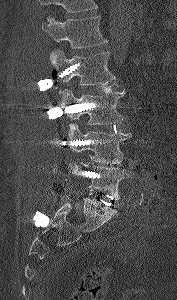
Spine CT. sagittal view. W/L 1800/400 HU. 177 mm wide
Boxes below are [x1, y1, x2, y2] in pixels.
Where the top of the scan cuts through a vertebra, that vertebra gets no label or box.
{"vertebrae":{"L1":[42,16,107,48],"L2":[49,49,115,94],"L3":[60,88,125,124],"L4":[67,123,131,163],"L5":[69,162,129,199]}}